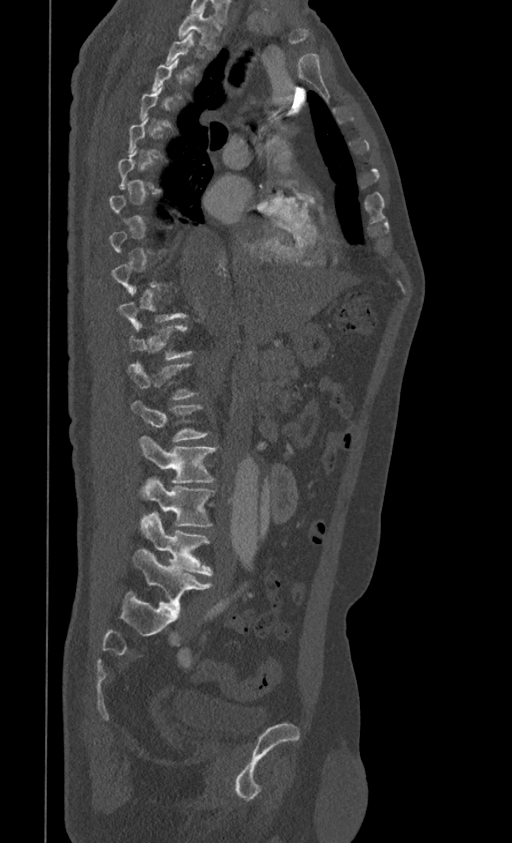
CT, spine; sagittal view
Box values are [left, top, right, bottom] in pixels.
Not every vertebra on this slice has a box: a vertebra is boxed only from the first to the last slice where its cross-section is at least a third of its largest, and this slice is outside that range for at least one of them.
{"vertebrae":{"T1":[177,8,221,49],"T11":[129,323,191,359],"L1":[131,401,207,441],"L2":[140,437,216,483],"L3":[141,477,214,527],"L4":[140,512,212,575],"L5":[133,550,212,612]}}